Computed tomography of the spine — sagittal view — bone window — 140 mm across the image
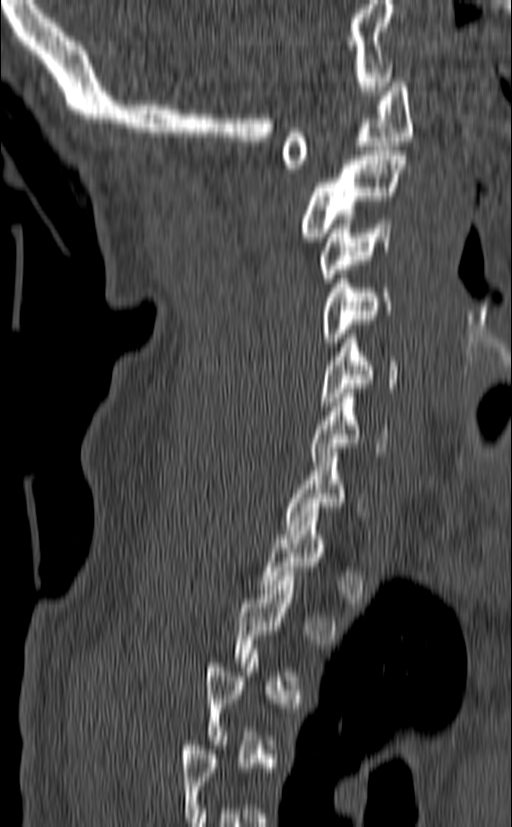 Columns x1, y1, x2, y2 give each box's top-left and bottom-right pixels.
Each vertebra is boxed only on the slices from the first to the last where its cross-section reaches a third of its largest, so a slice outside that range leaves it unboxed.
| vertebra | x1 | y1 | x2 | y2 |
|---|---|---|---|---|
| C1 | 281 | 78 | 412 | 173 |
| C2 | 298 | 151 | 407 | 241 |
| C3 | 320 | 219 | 392 | 282 |
| C4 | 320 | 265 | 393 | 346 |
| C5 | 319 | 334 | 399 | 406 |
| C6 | 309 | 389 | 388 | 461 |
| C7 | 283 | 448 | 362 | 534 |